CT spine · sagittal view · Bone window (WL 400, WW 1800) · 380 mm across the image · 380x640 px
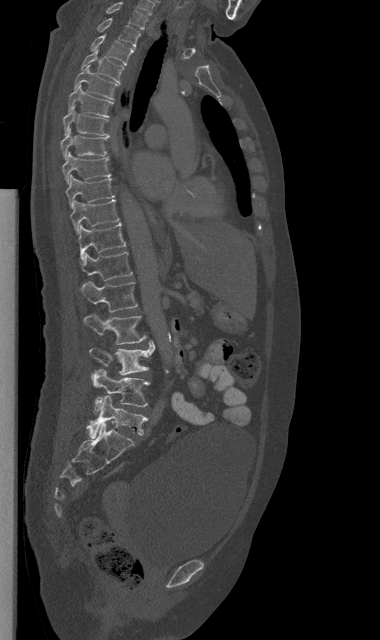 <vertebrae><v name="C7" x1="107" y1="2" x2="147" y2="29"/><v name="T1" x1="97" y1="18" x2="140" y2="47"/><v name="T2" x1="90" y1="34" x2="134" y2="65"/><v name="T3" x1="80" y1="49" x2="123" y2="84"/><v name="T4" x1="74" y1="66" x2="119" y2="99"/><v name="T5" x1="68" y1="85" x2="113" y2="117"/><v name="T6" x1="63" y1="107" x2="108" y2="136"/><v name="T7" x1="60" y1="127" x2="107" y2="159"/><v name="T8" x1="62" y1="152" x2="111" y2="183"/><v name="T9" x1="66" y1="175" x2="113" y2="208"/><v name="T10" x1="70" y1="199" x2="118" y2="233"/><v name="T11" x1="78" y1="222" x2="125" y2="259"/><v name="T12" x1="81" y1="251" x2="132" y2="281"/><v name="L1" x1="80" y1="281" x2="137" y2="312"/><v name="L2" x1="84" y1="314" x2="146" y2="344"/><v name="L3" x1="89" y1="341" x2="154" y2="375"/><v name="L4" x1="91" y1="369" x2="149" y2="413"/><v name="L5" x1="87" y1="396" x2="147" y2="437"/></vertebrae>